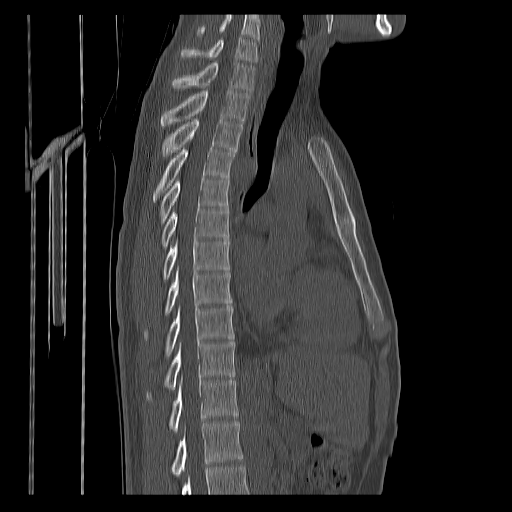

CT spine; sagittal view
Boxes are (x1, y1, x2, y2) in pixels.
A vertebra cut off by the bottom edge of the scan is not labeled and has no box.
In this scan, the topmost labeled vertebra is C7 and the lowest is T12.
C7: (181, 36, 258, 62)
T1: (172, 62, 255, 91)
T2: (160, 90, 250, 127)
T3: (163, 119, 242, 157)
T4: (152, 147, 235, 201)
T5: (160, 177, 230, 223)
T6: (161, 206, 228, 249)
T7: (163, 240, 230, 281)
T8: (144, 268, 232, 340)
T9: (165, 305, 233, 358)
T10: (146, 341, 235, 400)
T11: (169, 378, 237, 432)
T12: (172, 421, 242, 477)